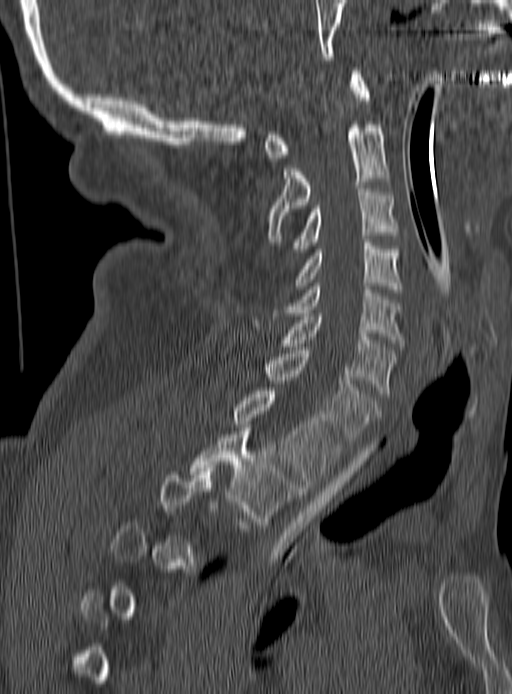

CT, spine. the image is 190 mm wide. sagittal reformat. bone window. 512x694 px

Coordinates as <box>x1,y1,x2,y2</box>. A vertebra is boxed only from the first to the last slice where its cross-section is at least a third of its largest; slices outside that range leave it without a box. The labeled vertebrae in this slice are: C1 at <box>264,71,369,161</box>, C2 at <box>265,121,388,242</box>, C3 at <box>292,185,396,252</box>, C4 at <box>297,239,399,292</box>, C5 at <box>272,283,404,343</box>, C6 at <box>281,313,396,396</box>, C7 at <box>262,350,377,444</box>, T1 at <box>233,391,339,484</box>, T2 at <box>189,431,302,524</box>.